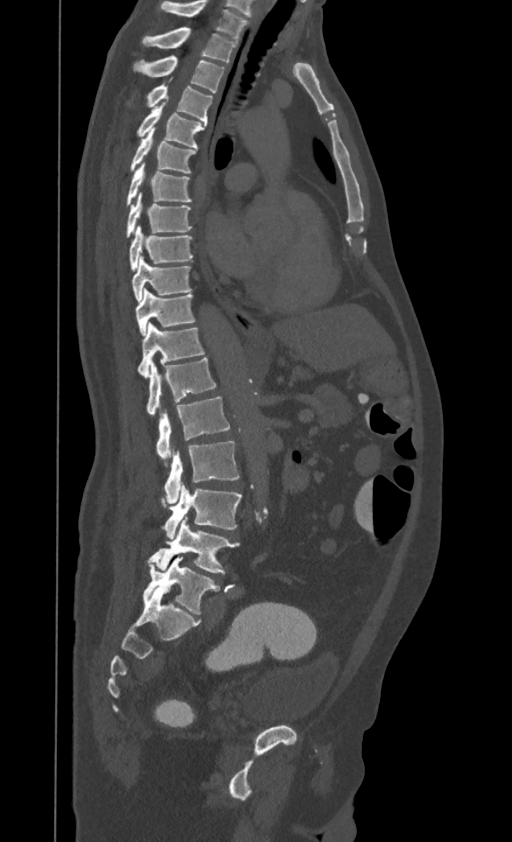

CT; sagittal view; bone window
Labels in this scan begin with T1 at the top and end with L4 at the bottom.
<vertebrae><v name="T1" x1="142" y1="27" x2="236" y2="62"/><v name="T2" x1="133" y1="56" x2="224" y2="92"/><v name="T3" x1="148" y1="79" x2="211" y2="125"/><v name="T4" x1="137" y1="103" x2="205" y2="148"/><v name="T5" x1="131" y1="128" x2="196" y2="173"/><v name="T6" x1="127" y1="162" x2="191" y2="205"/><v name="T7" x1="127" y1="192" x2="191" y2="237"/><v name="T8" x1="129" y1="226" x2="192" y2="270"/><v name="T9" x1="132" y1="257" x2="191" y2="302"/><v name="T10" x1="135" y1="289" x2="195" y2="336"/><v name="T11" x1="137" y1="323" x2="204" y2="377"/><v name="T12" x1="146" y1="358" x2="215" y2="415"/><v name="L1" x1="157" y1="397" x2="230" y2="466"/><v name="L2" x1="164" y1="441" x2="239" y2="503"/><v name="L3" x1="163" y1="483" x2="241" y2="539"/><v name="L4" x1="148" y1="516" x2="239" y2="573"/></vertebrae>